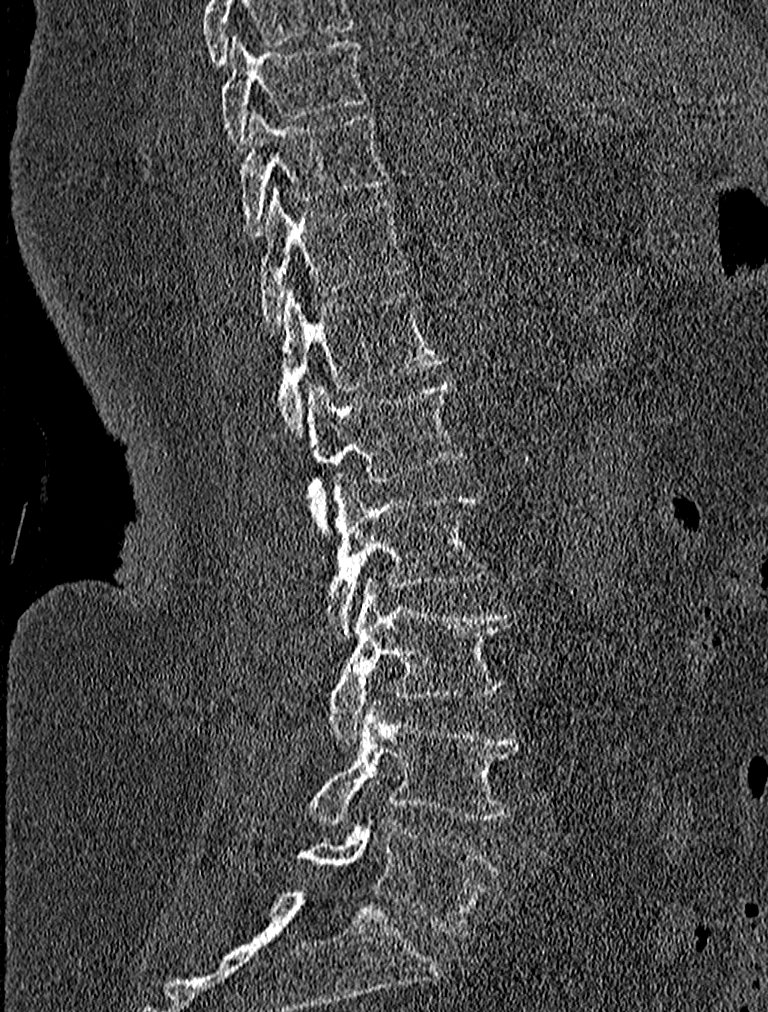
CT — the image is 227 mm wide — sagittal reformat

Boxes are (x1, y1, x2, y2) in pixels. Vertebrae labeled: T9 at (219, 33, 367, 148), T10 at (239, 111, 390, 237), T11 at (254, 187, 407, 331), T12 at (276, 288, 444, 436), L1 at (307, 379, 461, 532), L2 at (324, 473, 488, 640), L3 at (327, 577, 515, 742), L4 at (310, 699, 523, 826), L5 at (297, 818, 499, 934).